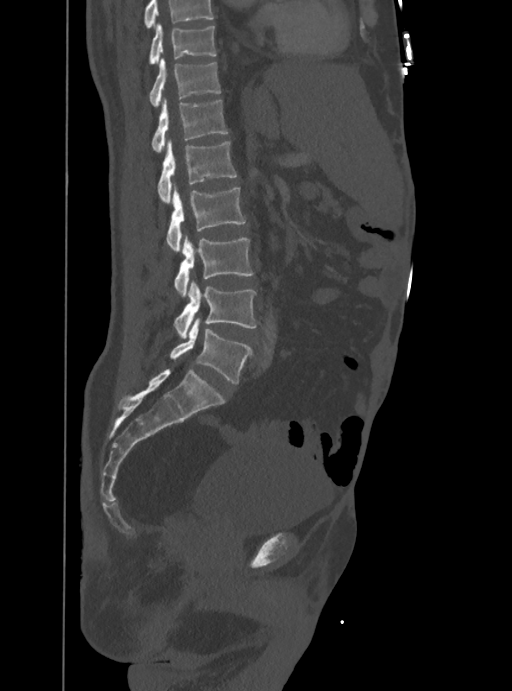

CT spine — image width 388 mm — sagittal reformat — bone window. Boxes: x1:y1:x2:y2 in pixels.
A vertebra cut off by the top edge of the scan is not labeled and has no box.
L5: 170:318:250:383
L4: 174:279:256:337
L3: 174:235:252:297
L2: 166:184:246:251
L1: 158:140:236:203
T12: 152:97:227:152
T11: 149:58:221:107
T10: 149:24:215:63